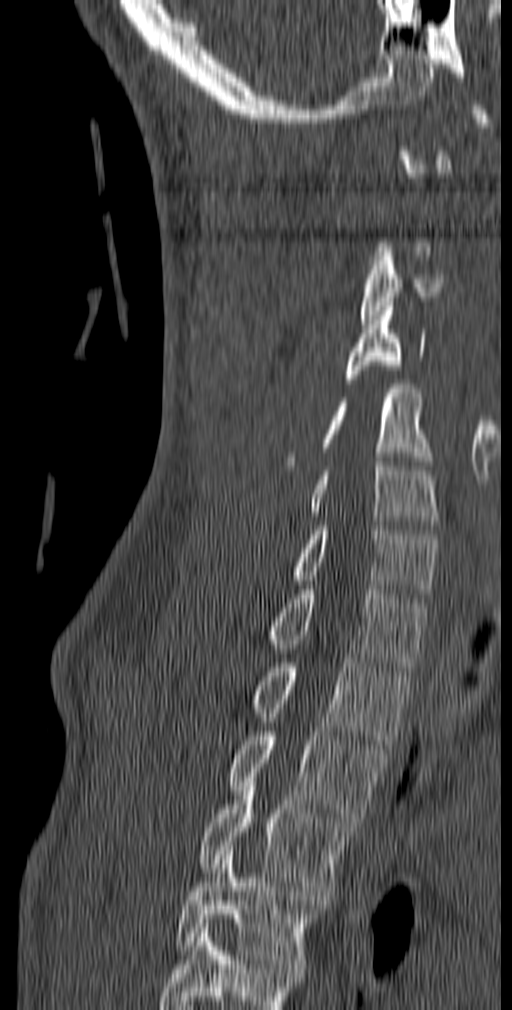 CT spine · image 140 mm wide · sagittal view
Bounding boxes as [x1, y1, x2, y2] in pixel coordinates.
Each vertebra is boxed only on the slices from the first to the last where its cross-section reaches a third of its largest, so a slice outside that range leaves it unboxed.
The highest labeled vertebra in this scan is C1; the lowest is T5.
Vertebra bounding boxes:
- C3: [360, 247, 443, 324]
- C4: [345, 302, 426, 383]
- C5: [285, 384, 432, 470]
- C6: [309, 457, 439, 529]
- C7: [292, 521, 438, 598]
- T1: [267, 585, 427, 671]
- T2: [254, 658, 411, 744]
- T3: [228, 727, 386, 822]
- T4: [199, 786, 357, 900]
- T5: [174, 846, 319, 968]